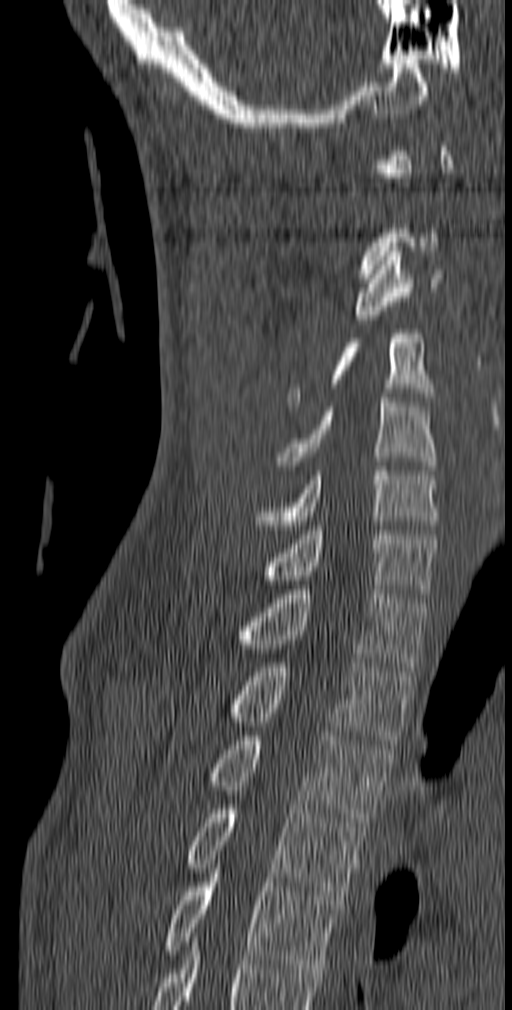

Computed tomography of the spine — sagittal view
Boxes: x1 y1 x2 y2 (pixel coords, space-separated).
Each vertebra is boxed only on the slices from the first to the last where its cross-section reaches a third of its largest, so a slice outside that range leaves it unboxed.
Vertebra bounding boxes:
- C3: 352 247 444 324
- C4: 287 329 436 406
- C5: 276 398 436 470
- C6: 255 466 439 534
- C7: 257 526 437 598
- T1: 237 585 426 671
- T2: 228 658 412 744
- T3: 206 731 393 826
- T4: 184 805 365 900
- T5: 162 864 340 973